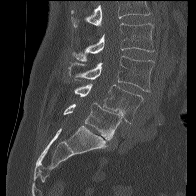 CT spine; sagittal view; bone-window reconstruction

Boxes are (x1, y1, x2, y2) in pixels. Where the top of the scan cuts through a vertebra, that vertebra gets no label or box. The labeled vertebrae in this slice are: L2 at (72, 23, 155, 61), L3 at (68, 56, 154, 92), L4 at (74, 83, 143, 123), L5 at (63, 102, 122, 139).